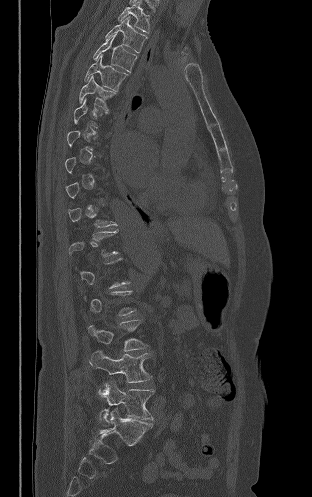

Spine CT. sagittal view. Bone window (WL 400, WW 1800)
Columns x1, y1, x2, y2 give each box's top-left and bottom-right pixels.
Each vertebra is boxed only on the slices from the first to the last where its cross-section reaches a third of its largest, so a slice outside that range leaves it unboxed.
| vertebra | x1 | y1 | x2 | y2 |
|---|---|---|---|---|
| T2 | 118 | 1 | 149 | 32 |
| T3 | 105 | 16 | 147 | 52 |
| T4 | 93 | 34 | 137 | 72 |
| T5 | 84 | 54 | 127 | 91 |
| T6 | 79 | 75 | 115 | 110 |
| L3 | 88 | 319 | 146 | 351 |
| L4 | 89 | 350 | 151 | 382 |
| L5 | 99 | 380 | 154 | 426 |